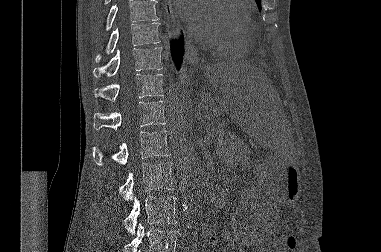 Spine CT. sagittal view. Bone window (WL 400, WW 1800)
No box is given to a vertebra that the top or bottom edge of the scan cuts off.
<vertebrae><v name="T9" x1="95" y1="23" x2="160" y2="62"/><v name="T10" x1="93" y1="47" x2="162" y2="77"/><v name="T11" x1="94" y1="74" x2="163" y2="101"/><v name="T12" x1="93" y1="101" x2="166" y2="130"/><v name="L1" x1="93" y1="130" x2="170" y2="165"/><v name="L2" x1="119" y1="162" x2="174" y2="201"/><v name="L3" x1="123" y1="196" x2="176" y2="234"/></vertebrae>